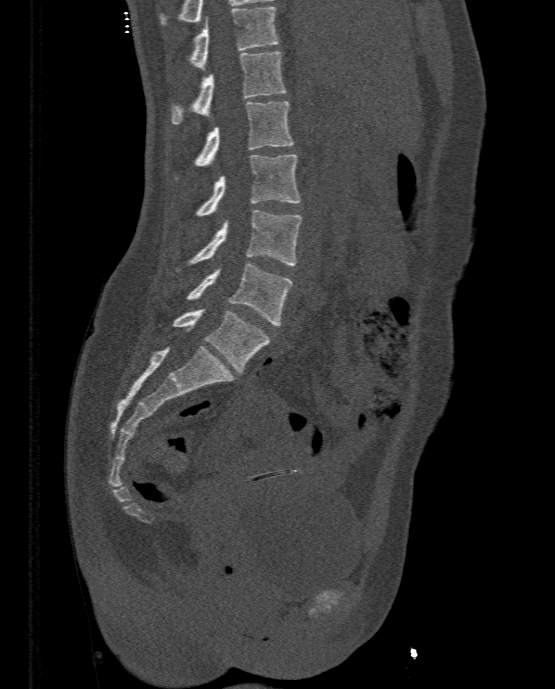
CT, spine — sagittal view — 555x689 px
<vertebrae><v name="L5" x1="172" y1="309" x2="270" y2="373"/><v name="L4" x1="186" y1="263" x2="293" y2="325"/><v name="L3" x1="188" y1="210" x2="303" y2="265"/><v name="L2" x1="196" y1="154" x2="300" y2="215"/><v name="L1" x1="195" y1="101" x2="294" y2="164"/><v name="T12" x1="171" y1="51" x2="285" y2="124"/><v name="T11" x1="190" y1="6" x2="279" y2="69"/></vertebrae>